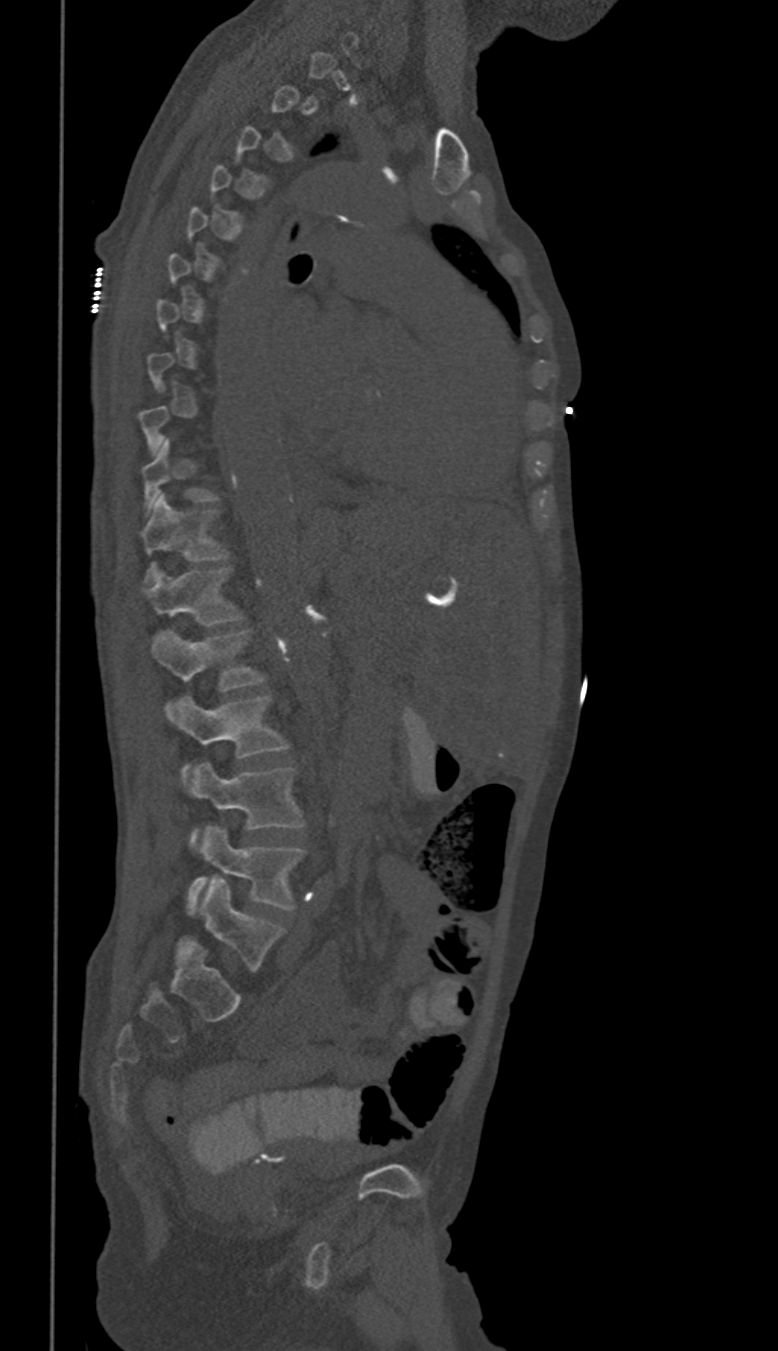 Spine CT — sagittal view — Bone window (WL 400, WW 1800) — image width 350 mm — 778x1351 px
Each box given as x1,y1,x2,y2. Not every vertebra on this slice has a box: a vertebra is boxed only from the first to the last slice where its cross-section is at least a third of its largest, and this slice is outside that range for at least one of them. In these labels the spine has no T12: the thoracic vertebrae end at T11, and L1 comes next. Vertebrae labeled: T10 at x1=141, y1=436, x2=219, y2=515, T11 at x1=141, y1=494, x2=230, y2=582, L1 at x1=146, y1=567, x2=244, y2=626, L2 at x1=153, y1=629, x2=265, y2=717, L3 at x1=175, y1=696, x2=289, y2=782, L4 at x1=191, y1=763, x2=303, y2=848, L5 at x1=187, y1=827, x2=306, y2=915.